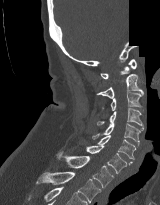 CT, spine · sagittal view · bone-window reconstruction · 160x205 px · part of the scan has been removed (filled with constant black)
Boxes are (x1, y1, x2, y2) in pixels. The labeled vertebrae in this slice are: T2 at (35, 172, 101, 203), T1 at (55, 151, 114, 187), C7 at (86, 146, 132, 173), C6 at (97, 135, 135, 159), C5 at (92, 123, 143, 145), C4 at (97, 108, 143, 128), C3 at (102, 93, 142, 110), C2 at (96, 74, 143, 98), C1 at (100, 59, 136, 79).